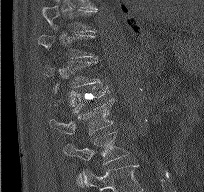

CT spine · sagittal reformat · 204x192 px
In the table, x1 and y1 are a box's top-left corner and x2 and y2 its bottom-right corner, in pixels.
Labels in this scan begin with T9 at the top and end with L2 at the bottom.
| vertebra | x1 | y1 | x2 | y2 |
|---|---|---|---|---|
| T9 | 42 | 5 | 97 | 32 |
| T10 | 38 | 25 | 95 | 58 |
| T11 | 45 | 61 | 100 | 88 |
| T12 | 53 | 85 | 111 | 113 |
| L1 | 50 | 98 | 113 | 135 |
| L2 | 63 | 131 | 129 | 164 |